CT — sagittal view — 152 mm across the image — scan covers 9 annotated vertebrae
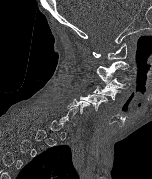 In the table, x1 and y1 are a box's top-left corner and x2 and y2 its bottom-right corner, in pixels.
Not every vertebra on this slice has a box: a vertebra is boxed only from the first to the last slice where its cross-section is at least a third of its largest, and this slice is outside that range for at least one of them.
| vertebra | x1 | y1 | x2 | y2 |
|---|---|---|---|---|
| C1 | 92 | 42 | 126 | 60 |
| C2 | 95 | 61 | 128 | 84 |
| C3 | 100 | 78 | 129 | 90 |
| C4 | 93 | 86 | 120 | 100 |
| C5 | 80 | 93 | 108 | 111 |
| C6 | 67 | 99 | 90 | 114 |